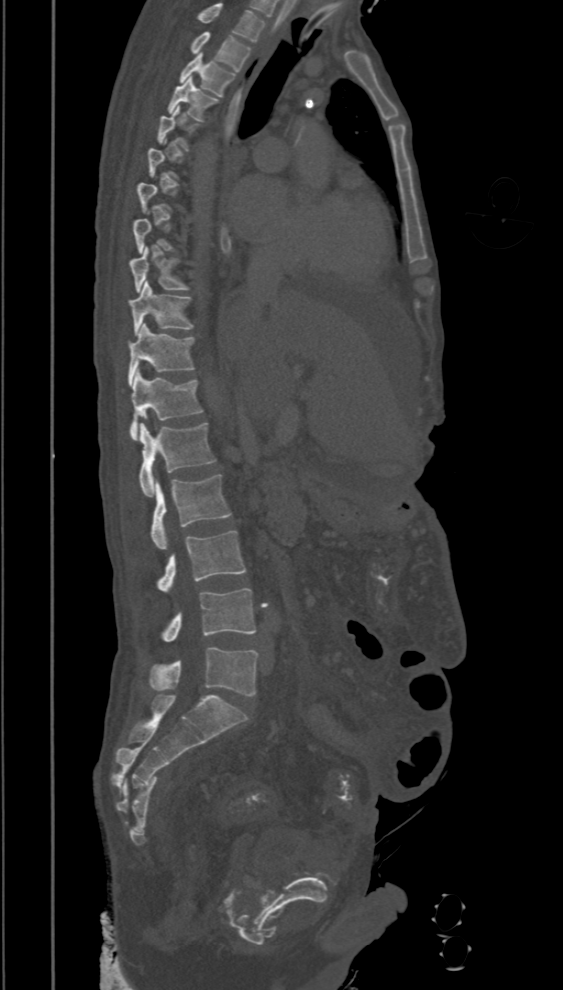 Spine CT · sagittal reformat · W/L 1800/400 HU · 394 mm across the image
A vertebra gets a box only on the slices from the first to the last where its cross-section is at least a third of its largest; on a slice outside that range it gets none.
This scan's labels start at T2 at the top and end at L5 at the bottom.
<vertebrae><v name="L5" x1="150" y1="647" x2="257" y2="696"/><v name="L4" x1="163" y1="589" x2="256" y2="642"/><v name="L3" x1="157" y1="530" x2="246" y2="592"/><v name="L2" x1="152" y1="475" x2="230" y2="549"/><v name="L1" x1="139" y1="423" x2="216" y2="496"/><v name="T12" x1="130" y1="370" x2="201" y2="439"/><v name="T11" x1="128" y1="323" x2="195" y2="386"/><v name="T10" x1="129" y1="282" x2="194" y2="335"/><v name="T9" x1="129" y1="247" x2="187" y2="292"/><v name="T4" x1="168" y1="76" x2="218" y2="119"/><v name="T3" x1="180" y1="53" x2="234" y2="96"/><v name="T2" x1="191" y1="31" x2="251" y2="70"/></vertebrae>